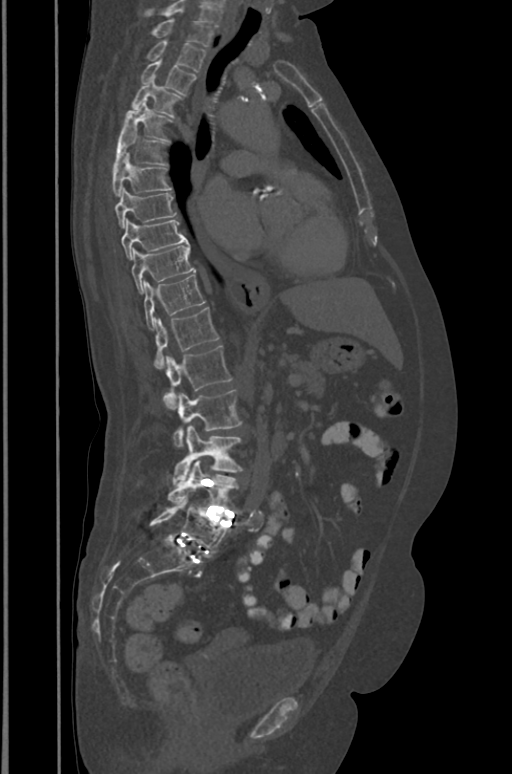

CT spine · sagittal view · Bone window (WL 400, WW 1800)
The highest labeled vertebra in this scan is T1; the lowest is L5.
<vertebrae><v name="T1" x1="152" y1="19" x2="212" y2="47"/><v name="T2" x1="147" y1="40" x2="206" y2="71"/><v name="T3" x1="140" y1="60" x2="195" y2="94"/><v name="T4" x1="132" y1="77" x2="181" y2="116"/><v name="T5" x1="119" y1="102" x2="171" y2="143"/><v name="T6" x1="113" y1="129" x2="165" y2="169"/><v name="T7" x1="113" y1="155" x2="171" y2="196"/><v name="T8" x1="115" y1="188" x2="176" y2="228"/><v name="T9" x1="120" y1="219" x2="188" y2="259"/><v name="T10" x1="131" y1="245" x2="194" y2="294"/><v name="T11" x1="144" y1="275" x2="205" y2="330"/><v name="T12" x1="154" y1="307" x2="219" y2="368"/><v name="L1" x1="164" y1="345" x2="231" y2="409"/><v name="L2" x1="173" y1="390" x2="241" y2="447"/><v name="L3" x1="173" y1="426" x2="243" y2="484"/><v name="L4" x1="168" y1="459" x2="237" y2="506"/><v name="L5" x1="149" y1="496" x2="227" y2="554"/></vertebrae>